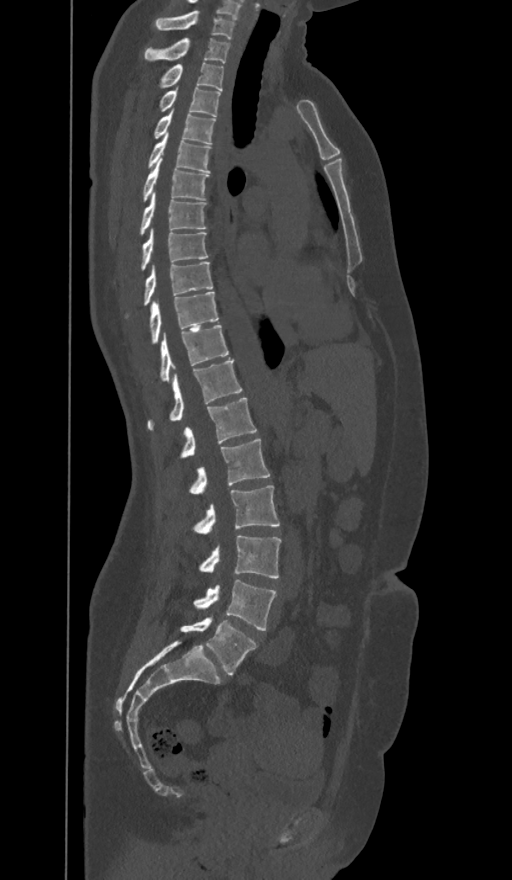 CT spine — sagittal view — Bone window (WL 400, WW 1800)

Boxes: x1 y1 x2 y2 (pixel coords, space-separated).
In these labels the spine has an L6, a sixth lumbar vertebra below L5.
C7: 155 11 234 38
T1: 145 38 229 63
T2: 160 63 223 90
T3: 160 87 219 116
T4: 155 110 215 143
T5: 148 134 210 171
T6: 144 158 207 201
T7: 139 192 206 234
T8: 141 228 208 270
T9: 144 262 212 306
T10: 149 291 218 344
T11: 160 325 229 381
T12: 148 360 241 430
L1: 181 398 256 457
L2: 189 439 270 494
L3: 193 485 279 534
L4: 200 535 281 578
L5: 194 580 275 630
L6: 181 617 256 675